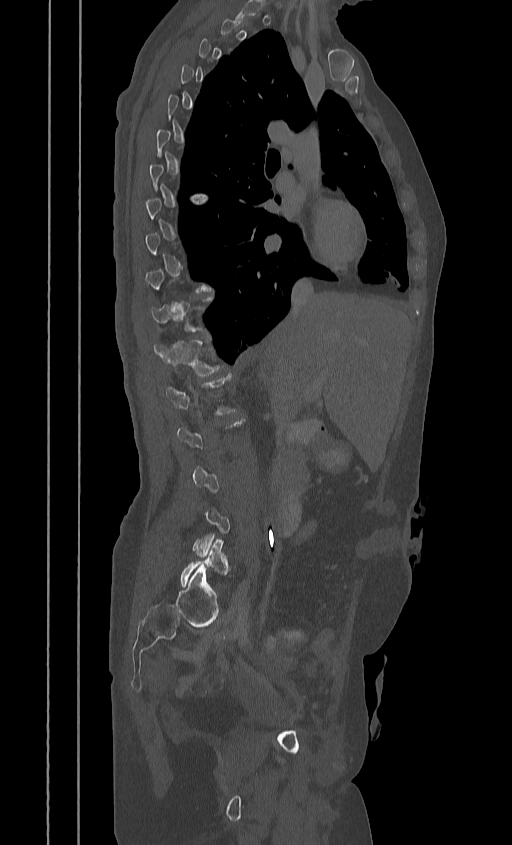 Computed tomography of the spine; sagittal reformat
Box edges are left/top/right/bottom in pixels.
A vertebra is boxed only from the first to the last slice where its cross-section is at least a third of its largest; slices outside that range leave it without a box.
Vertebra bounding boxes:
- T12: left=153, top=340, right=219, bottom=376
- L5: left=179, top=539, right=228, bottom=587